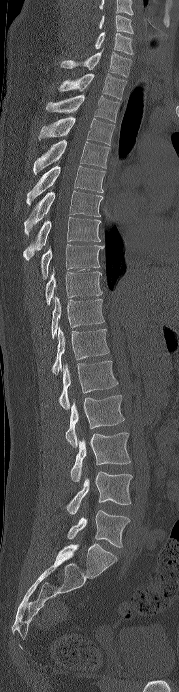

CT — sagittal reformat — bone-window reconstruction — 179x692 px
Each row gives a vertebra's box as x1, y1, x2, y2 in pixels: top-left corner, then bottom-right corner.
This scan's labels start at C6 at the top and end at L5 at the bottom.
| vertebra | x1 | y1 | x2 | y2 |
|---|---|---|---|---|
| L5 | 67 | 510 | 129 | 547 |
| L4 | 66 | 471 | 132 | 514 |
| L3 | 70 | 432 | 131 | 482 |
| L2 | 65 | 395 | 124 | 447 |
| L1 | 45 | 361 | 118 | 409 |
| T12 | 52 | 327 | 109 | 374 |
| T11 | 51 | 296 | 104 | 338 |
| T10 | 45 | 269 | 102 | 304 |
| T9 | 41 | 244 | 104 | 277 |
| T8 | 23 | 217 | 100 | 260 |
| T7 | 24 | 191 | 102 | 235 |
| T6 | 26 | 165 | 105 | 205 |
| T5 | 33 | 140 | 110 | 174 |
| T4 | 38 | 116 | 114 | 145 |
| T3 | 46 | 95 | 119 | 122 |
| T2 | 58 | 73 | 126 | 99 |
| T1 | 60 | 52 | 131 | 77 |
| C7 | 94 | 32 | 133 | 54 |
| C6 | 99 | 15 | 133 | 34 |